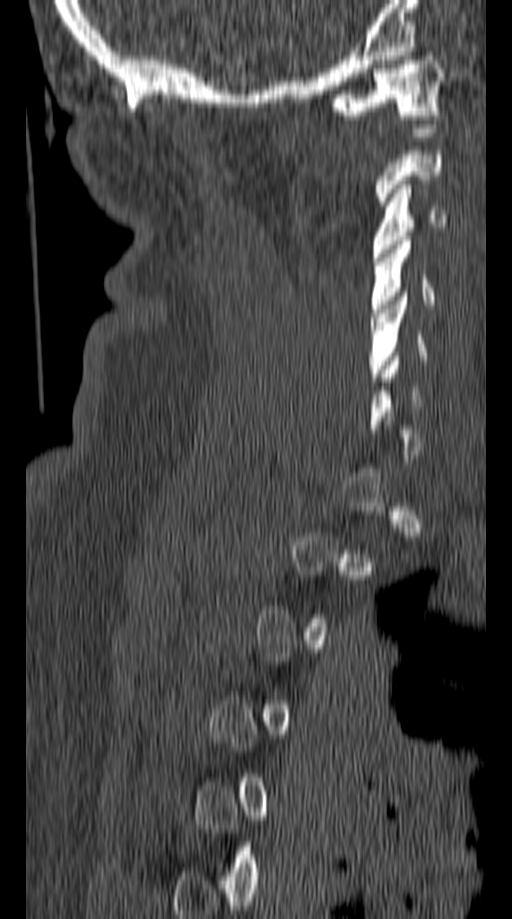
CT, spine — the image is 149 mm wide — sagittal reformat — 512x919 px
Bounding boxes as [x1, y1, x2, y2] in pixel coordinates. Not every vertebra on this slice has a box: a vertebra is boxed only from the first to the last slice where its cross-section is at least a third of its largest, and this slice is outside that range for at least one of them. Vertebrae labeled: C1 at [327, 52, 447, 119], C3 at [372, 180, 447, 257], C4 at [369, 236, 433, 317], C5 at [368, 292, 426, 381].